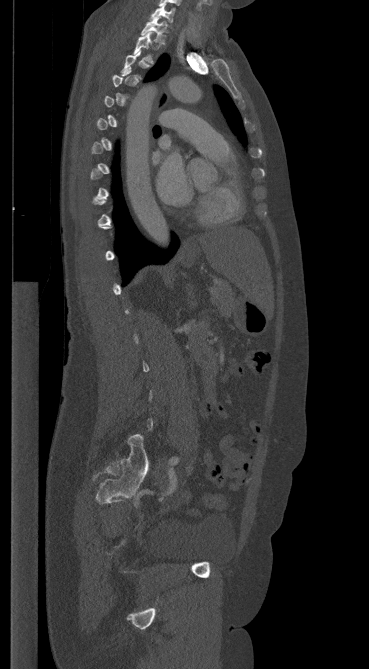
Spine computed tomography. sagittal view. bone window

Each row gives a vertebra's box as x1, y1, x2, y2 in pixels: top-left corner, then bottom-right corner.
Not every vertebra on this slice has a box: a vertebra is boxed only from the first to the last slice where its cross-section is at least a third of its largest, and this slice is outside that range for at least one of them.
| vertebra | x1 | y1 | x2 | y2 |
|---|---|---|---|---|
| C7 | 151 | 5 | 175 | 23 |
| T1 | 141 | 18 | 167 | 43 |
| T2 | 133 | 32 | 153 | 61 |